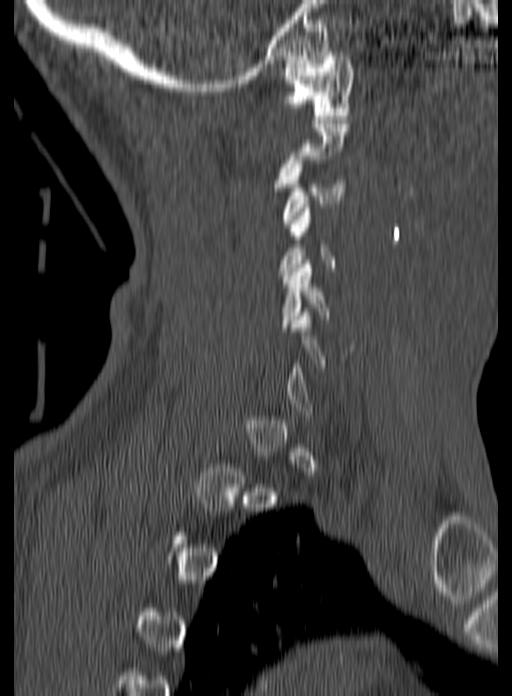

Computed tomography of the spine · sagittal view · W/L 1800/400 HU

Box edges are left/top/right/bottom in pixels. Each vertebra is boxed only on the slices from the first to the last where its cross-section reaches a third of its largest, so a slice outside that range leaves it unboxed. The labeled vertebrae in this slice are: C1 at left=284, top=48, right=352, bottom=119, C3 at left=282, top=160, right=344, bottom=227, C5 at left=280, top=260, right=330, bottom=331.